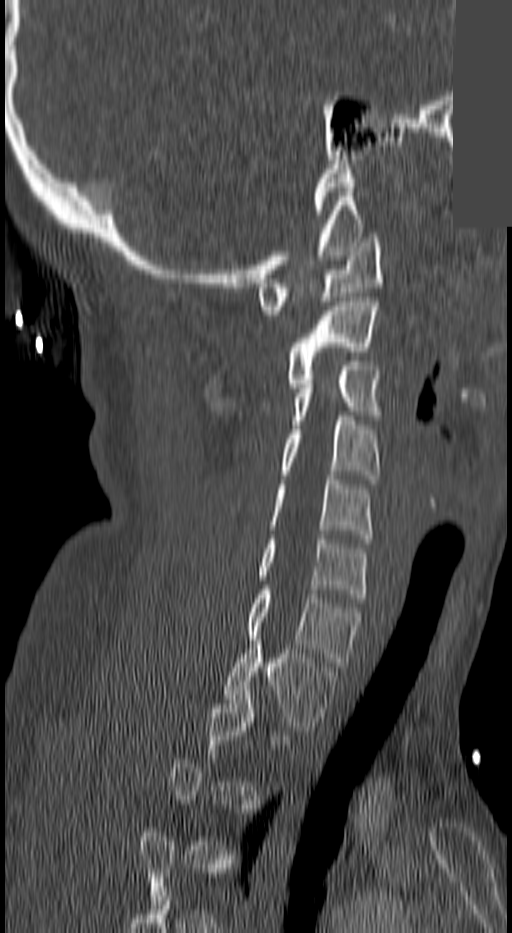

CT spine; sagittal view; 140 mm across the image; part of the image is a flat gray fill, not anatomy
Bounding boxes as [x1, y1, x2, y2] in pixel coordinates.
Each vertebra is boxed only on the slices from the first to the last where its cross-section reaches a third of its largest, so a slice outside that range leaves it unboxed.
T1: [224, 640, 337, 735]
C7: [246, 590, 362, 666]
C6: [257, 539, 366, 602]
C5: [268, 475, 373, 538]
C4: [279, 416, 381, 484]
C3: [291, 361, 381, 429]
C2: [283, 302, 377, 388]
C1: [257, 238, 384, 314]